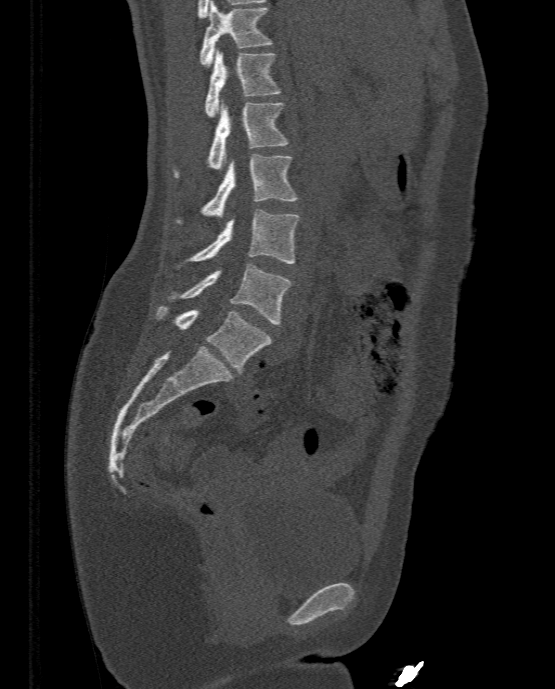

CT. sagittal view. 555x689 px
Boxes: x1:y1:x2:y2 in pixels. The labeled vertebrae in this slice are: L5 at 156:305:272:372, L4 at 168:263:291:324, L3 at 172:210:298:267, L2 at 176:154:297:223, L1 at 173:98:288:177, T12 at 205:48:281:116, T11 at 199:1:272:67.